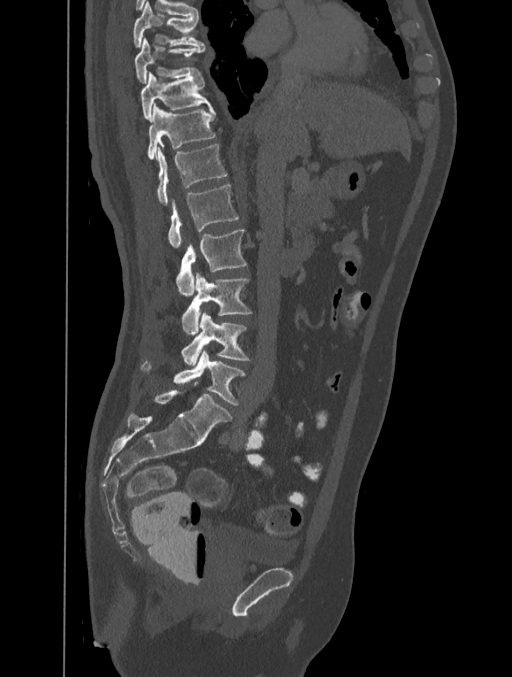

CT — sagittal view — the image spans 401 mm across — bone window

Each row gives a vertebra's box as x1, y1, x2, y2 in pixels: top-left corner, then bottom-right corner.
| vertebra | x1 | y1 | x2 | y2 |
|---|---|---|---|---|
| T8 | 133 | 1 | 205 | 46 |
| T9 | 135 | 37 | 204 | 82 |
| T10 | 140 | 71 | 212 | 120 |
| T11 | 147 | 103 | 215 | 159 |
| T12 | 156 | 144 | 227 | 205 |
| L1 | 168 | 184 | 238 | 248 |
| L2 | 176 | 229 | 247 | 295 |
| L3 | 181 | 273 | 252 | 333 |
| L4 | 181 | 311 | 249 | 366 |
| L5 | 142 | 350 | 245 | 405 |